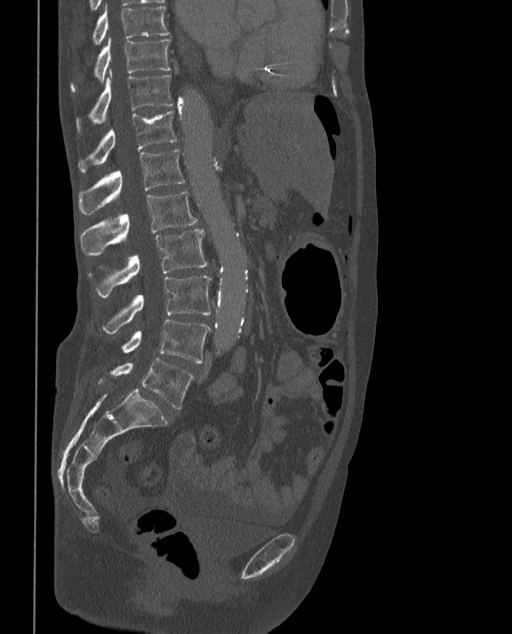
Spine computed tomography. sagittal reformat. 373 mm wide. Bone window (WL 400, WW 1800)
The labels name a sixth lumbar vertebra for this spine: L6, after L5.
<vertebrae><v name="T9" x1="92" y1="5" x2="170" y2="46"/><v name="T10" x1="70" y1="38" x2="170" y2="92"/><v name="T11" x1="75" y1="70" x2="173" y2="134"/><v name="T12" x1="78" y1="111" x2="177" y2="172"/><v name="L1" x1="78" y1="149" x2="184" y2="214"/><v name="L2" x1="81" y1="190" x2="198" y2="253"/><v name="L3" x1="96" y1="229" x2="207" y2="297"/><v name="L4" x1="103" y1="275" x2="210" y2="333"/><v name="L5" x1="122" y1="320" x2="210" y2="362"/><v name="L6" x1="111" y1="358" x2="192" y2="409"/></vertebrae>